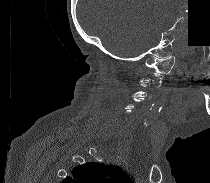

Spine CT; sagittal view; bone window; a region of this slice is masked with a uniform fill
A vertebra gets a box only on the slices from the first to the last where its cross-section is at least a third of its largest; on a slice outside that range it gets none.
<vertebrae><v name="C3" x1="131" y1="81" x2="151" y2="98"/><v name="C1" x1="145" y1="55" x2="174" y2="73"/></vertebrae>